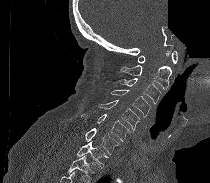 Spine CT; sagittal view; part of the image is constant black where the scan was masked
Vertebrae that run past the bottom of the scan are left unlabeled.
<vertebrae><v name="C1" x1="138" y1="50" x2="177" y2="63"/><v name="C2" x1="119" y1="52" x2="171" y2="89"/><v name="C3" x1="118" y1="78" x2="161" y2="104"/><v name="C4" x1="110" y1="90" x2="151" y2="117"/><v name="C5" x1="99" y1="100" x2="139" y2="133"/><v name="C6" x1="81" y1="114" x2="131" y2="142"/><v name="C7" x1="85" y1="128" x2="118" y2="154"/><v name="T1" x1="76" y1="141" x2="109" y2="168"/></vertebrae>